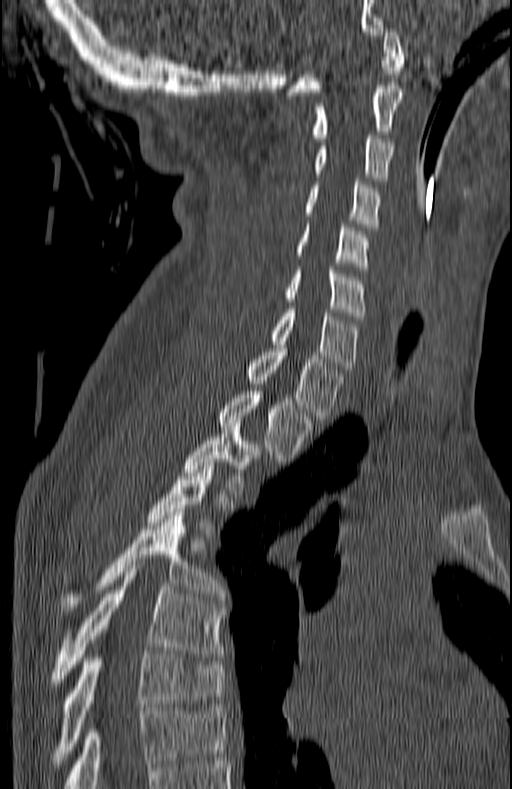 Spine computed tomography — sagittal view — bone window — 512x789 px — 180 mm across the image

Each box given as x1,y1,x2,y2.
A vertebra gets a box only on the slices from the first to the last where its cross-section is at least a third of its largest; on a slice outside that range it gets none.
T7: x1=49, y1=651, x2=225, y2=767
T6: x1=49, y1=565, x2=224, y2=692
T5: x1=61, y1=512, x2=225, y2=611
T3: x1=186, y1=427, x2=259, y2=493
T2: x1=220, y1=391, x2=313, y2=461
T1: x1=246, y1=348, x2=342, y2=419
C7: x1=271, y1=309, x2=358, y2=369
C6: x1=285, y1=270, x2=364, y2=319
C5: x1=297, y1=224, x2=367, y2=269
C4: x1=305, y1=181, x2=381, y2=227
C3: x1=314, y1=135, x2=393, y2=177
C2: x1=314, y1=85, x2=404, y2=141
C1: x1=287, y1=28, x2=404, y2=95